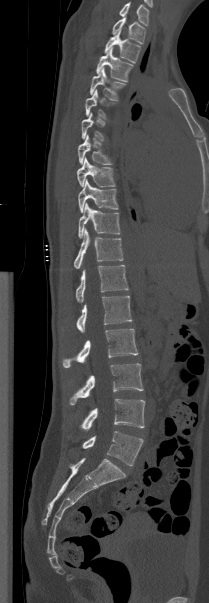 CT, spine. 209 mm across the image. sagittal view

Each box given as x1,y1,x2,y2. The highest labeled vertebra in this scan is T1; the lowest is L5. Vertebrae labeled: L5 at x1=82, y1=431, x2=143, y2=466, L4 at x1=80, y1=399, x2=145, y2=430, L3 at x1=69, y1=363, x2=143, y2=404, L2 at x1=62, y1=329, x2=138, y2=368, L1 at x1=76, y1=296, x2=132, y2=332, T12 at x1=76, y1=265, x2=128, y2=302, T11 at x1=74, y1=229, x2=123, y2=268, T10 at x1=78, y1=203, x2=120, y2=237, T9 at x1=78, y1=180, x2=118, y2=213, T8 at x1=77, y1=157, x2=115, y2=187, T7 at x1=78, y1=135, x2=112, y2=164, T6 at x1=81, y1=112, x2=105, y2=141, T5 at x1=85, y1=89, x2=113, y2=119, T4 at x1=90, y1=68, x2=125, y2=100, T3 at x1=96, y1=48, x2=133, y2=81, T2 at x1=104, y1=30, x2=140, y2=62, T1 at x1=112, y1=16, x2=145, y2=43.